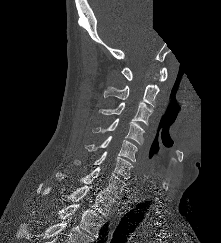 Computed tomography of the spine — sagittal view — 221x243 px — a portion of the image is blanked out (constant pixel value). Coordinates as <box>x1,y1,x2,y2</box>.
Vertebra bounding boxes:
- C1: <box>121,67,167,81</box>
- C2: <box>103,84,159,106</box>
- C3: <box>98,101,153,125</box>
- C4: <box>92,118,145,144</box>
- C5: <box>83,135,137,161</box>
- C6: <box>73,151,134,179</box>
- C7: <box>56,167,126,198</box>
- T1: <box>41,185,116,215</box>
- T2: <box>59,204,104,238</box>